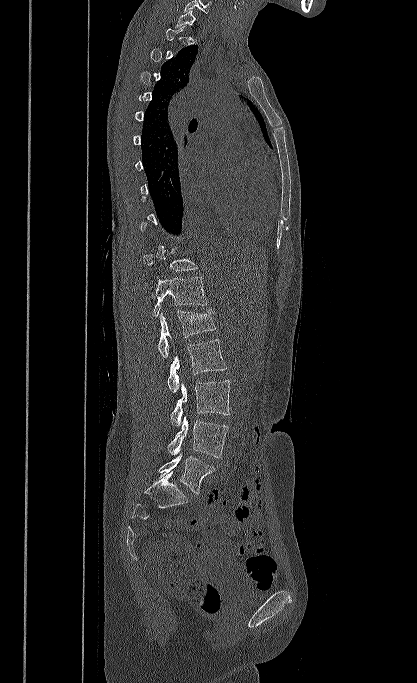

Spine CT — 417 mm across the image — sagittal view — W/L 1800/400 HU
Each box is [x1, y1, x2, y2] in pixels: top-left corner, then bottom-right corner.
Not every vertebra on this slice has a box: a vertebra is boxed only from the first to the last slice where its cross-section is at least a third of its largest, and this slice is outside that range for at least one of them.
{"vertebrae":{"T11":[143,251,198,278],"T12":[153,277,207,316],"L1":[158,310,216,357],"L2":[167,339,227,393],"L3":[171,380,230,427],"L4":[168,416,228,458],"L5":[159,453,215,494]}}